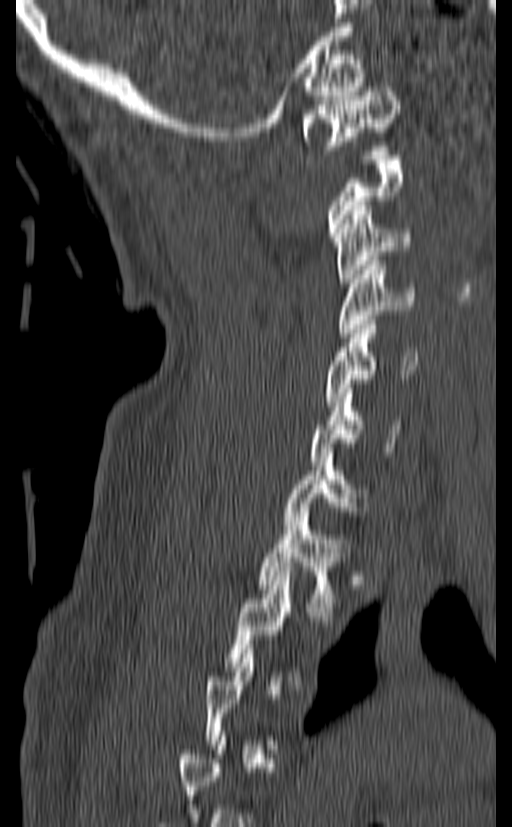 Spine CT — sagittal view — bone-window reconstruction — 512x827 px

A vertebra is boxed only from the first to the last slice where its cross-section is at least a third of its largest; slices outside that range leave it without a box.
<vertebrae><v name="C1" x1="302" y1="82" x2="399" y2="154"/><v name="C3" x1="334" y1="206" x2="411" y2="287"/><v name="C4" x1="338" y1="261" x2="414" y2="337"/><v name="C5" x1="323" y1="320" x2="417" y2="406"/><v name="C6" x1="309" y1="384" x2="402" y2="465"/><v name="C7" x1="284" y1="453" x2="368" y2="529"/><v name="T1" x1="258" y1="512" x2="350" y2="616"/></vertebrae>